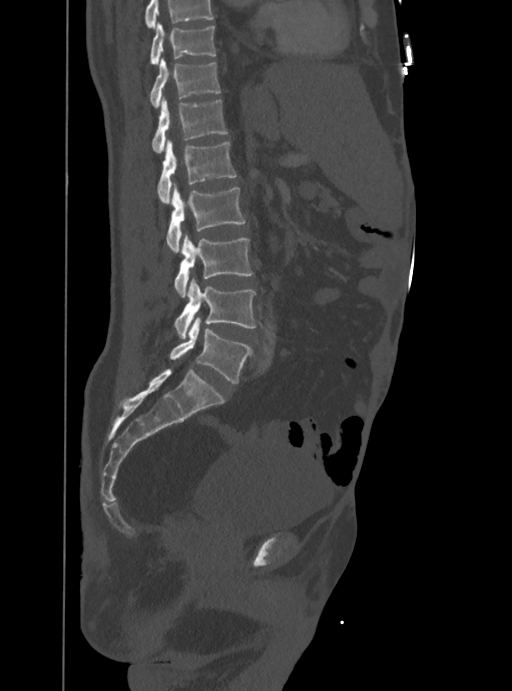

CT, spine — sagittal reformat — image width 388 mm — bone window — 512x691 px
Each vertebra maps to its box as [x1, y1, x2, y2], the pixel coordinates of its top-left and bottom-right corners.
No box is given to a vertebra that the top edge of the scan cuts off.
{"vertebrae":{"L5":[169,317,250,383],"L4":[174,278,256,337],"L3":[174,234,252,297],"L2":[166,183,244,252],"L1":[157,140,236,203],"T12":[152,96,227,153],"T11":[150,57,221,107],"T10":[150,23,215,64]}}